Spine CT. sagittal view
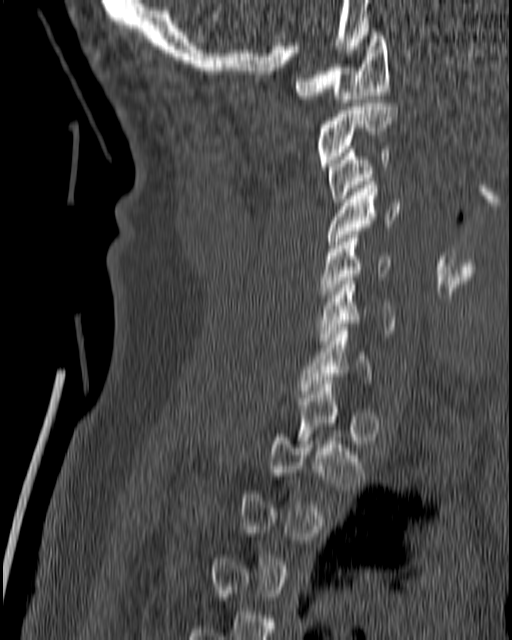

Each box is [x1, y1, x2, y2] in pixels: top-left corner, then bottom-right corner.
A vertebra is boxed only from the first to the last slice where its cross-section is at least a third of its largest; slices outside that range leave it without a box.
{"vertebrae":{"C1":[294,32,390,106],"C2":[317,103,398,166],"C3":[327,146,390,205],"C4":[325,178,400,248],"C5":[319,235,390,301],"C6":[316,277,395,344],"C7":[300,327,370,394]}}